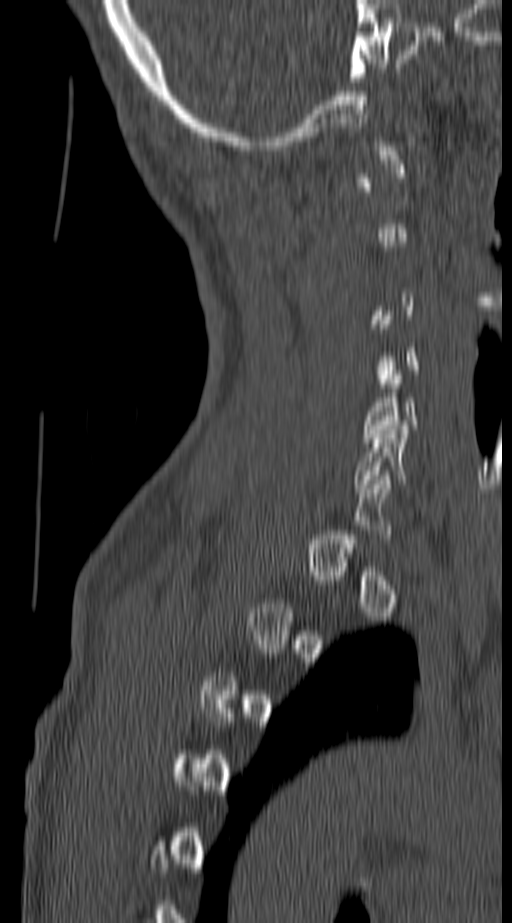

CT spine; sagittal reformat; 512x923 px
Boxes: x1:y1:x2:y2 in pixels.
Each vertebra is boxed only on the slices from the first to the last where its cross-section reaches a third of its largest, so a slice outside that range leaves it unboxed.
C6: 352:425:437:493
C5: 362:370:418:442